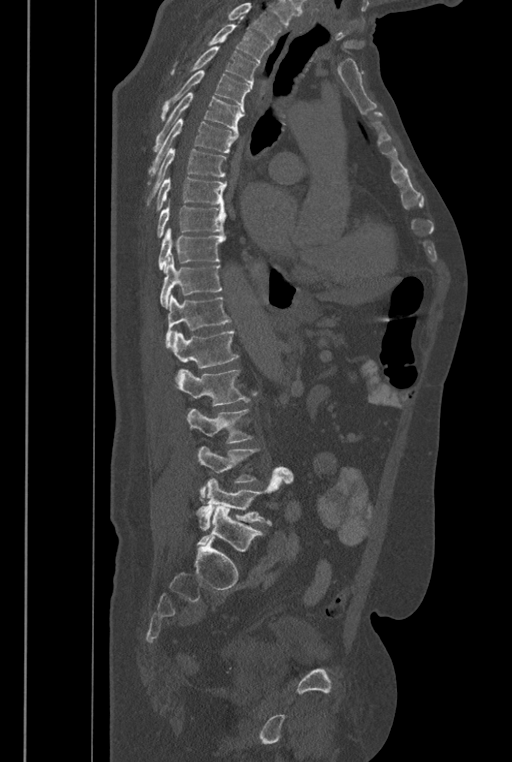

Spine CT — sagittal view — bone window — 512x762 px
No box is given to a vertebra that the top edge of the scan cuts off.
In these labels the spine has an L6, a sixth lumbar vertebra below L5.
<vertebrae><v name="T2" x1="209" y1="25" x2="269" y2="62"/><v name="T3" x1="171" y1="46" x2="258" y2="88"/><v name="T4" x1="161" y1="70" x2="250" y2="120"/><v name="T5" x1="153" y1="92" x2="244" y2="151"/><v name="T6" x1="147" y1="119" x2="238" y2="184"/><v name="T7" x1="145" y1="149" x2="226" y2="205"/><v name="T8" x1="156" y1="177" x2="226" y2="211"/><v name="T9" x1="157" y1="199" x2="226" y2="237"/><v name="T10" x1="158" y1="228" x2="225" y2="272"/><v name="T11" x1="159" y1="252" x2="222" y2="308"/><v name="T12" x1="165" y1="294" x2="231" y2="348"/><v name="L1" x1="171" y1="330" x2="238" y2="379"/><v name="L2" x1="177" y1="369" x2="255" y2="406"/><v name="L3" x1="187" y1="409" x2="253" y2="443"/><v name="L4" x1="197" y1="445" x2="258" y2="497"/><v name="L5" x1="195" y1="467" x2="293" y2="530"/><v name="L6" x1="196" y1="505" x2="263" y2="552"/></vertebrae>